CT spine; sagittal reformat; image width 500 mm; Bone window (WL 400, WW 1800); 556x855 px
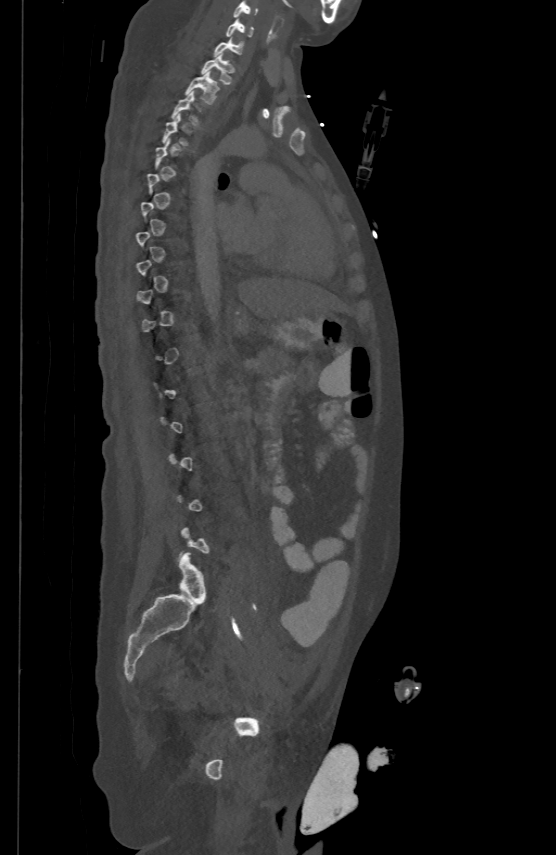
Boxes below are [x1, y1, x2, y2] in pixels.
A vertebra gets a box only on the slices from the first to the last where its cross-section is at least a third of its largest; on a slice outside that range it gets none.
{"vertebrae":{"C5":[233,1,258,16],"C6":[227,17,253,35],"C7":[214,36,243,55],"T1":[201,52,233,83],"T2":[184,71,219,103]}}